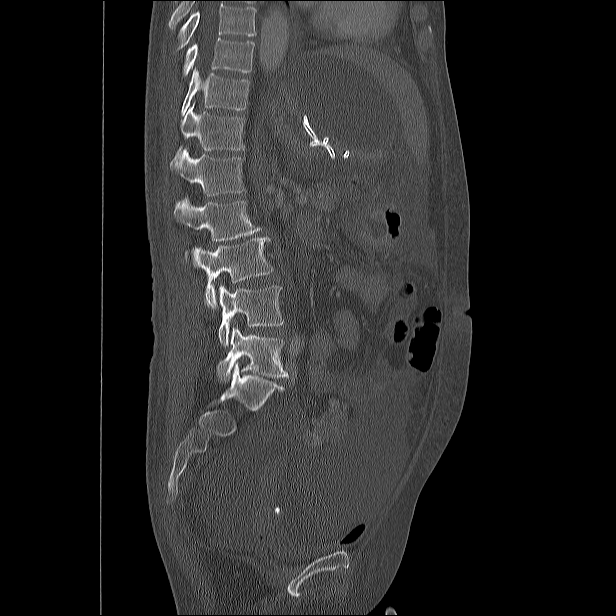 CT spine · 482 mm across the image · sagittal view · W/L 1800/400 HU
Each vertebra maps to its box as [x1, y1, x2, y2], the pixel coordinates of its top-left and bottom-right corners.
Vertebrae that run past the top of the scan are left unlabeled.
{"vertebrae":{"L5":[217,327,289,381],"L4":[218,285,283,345],"L3":[192,236,272,307],"L2":[173,197,261,240],"L1":[170,148,246,196],"T12":[175,102,244,156],"T11":[181,68,249,115],"T10":[183,38,255,77]}}